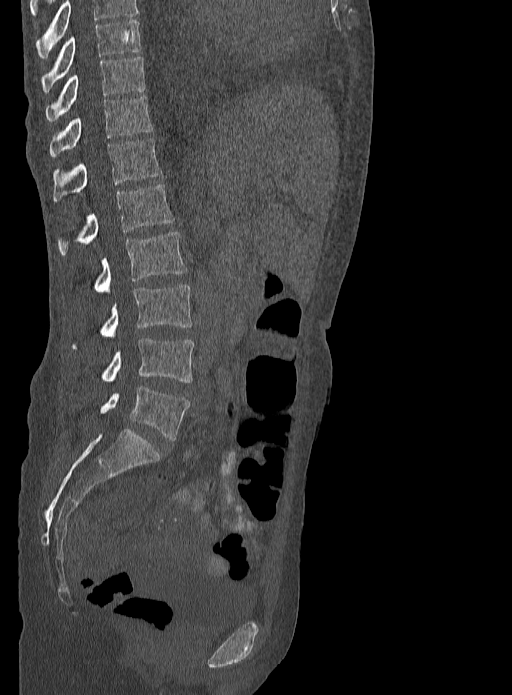 CT, spine. sagittal reformat. the image is 333 mm wide
Boxes are given in columns x1, y1, x2, y2, the pixel coordinates of their top-left and bottom-right corners.
In this scan, the topmost labeled vertebra is T9 and the lowest is L5.
| vertebra | x1 | y1 | x2 | y2 |
|---|---|---|---|---|
| T9 | 41 | 20 | 140 | 93 |
| T10 | 46 | 55 | 145 | 120 |
| T11 | 49 | 95 | 152 | 156 |
| T12 | 54 | 138 | 162 | 202 |
| L1 | 58 | 185 | 174 | 254 |
| L2 | 94 | 232 | 186 | 293 |
| L3 | 70 | 284 | 192 | 350 |
| L4 | 101 | 338 | 194 | 382 |
| L5 | 100 | 386 | 189 | 440 |